CT, spine — sagittal view — image width 210 mm — bone-window reconstruction
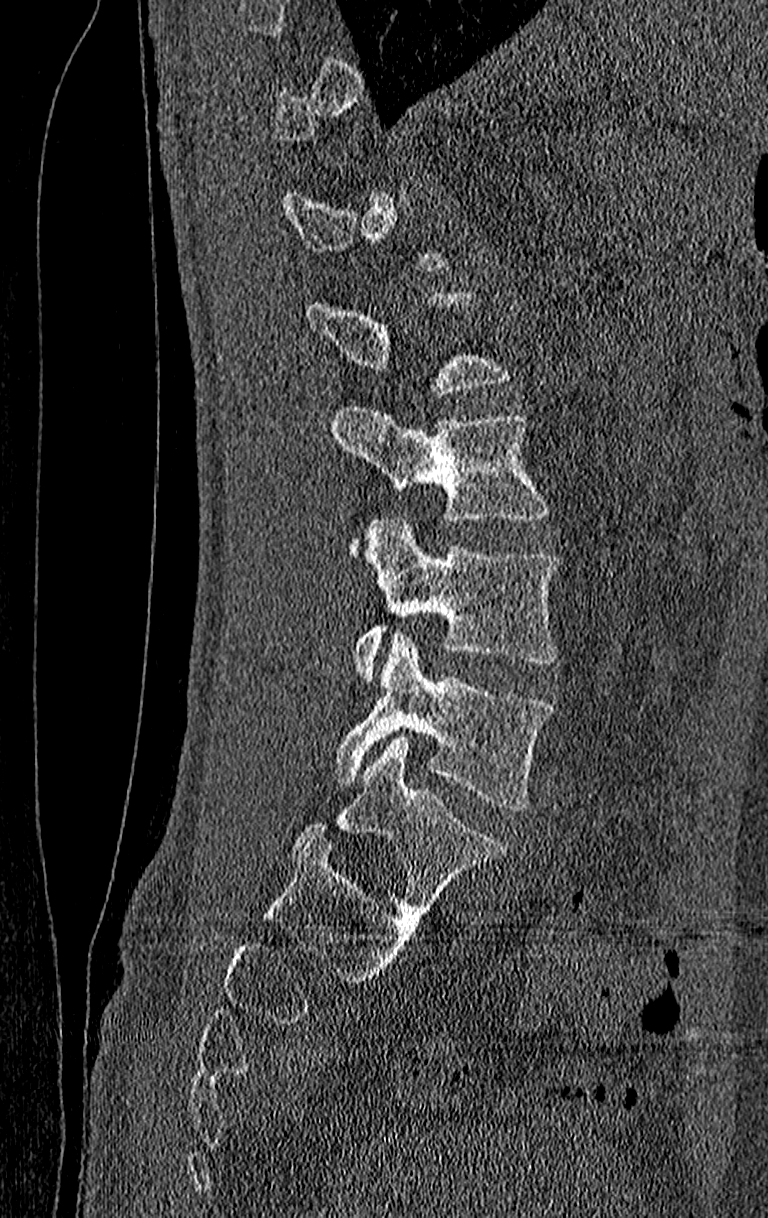

Box edges are left/top/right/bottom in pixels. Each vertebra is boxed only on the slices from the first to the last where its cross-section reaches a third of its largest, so a slice outside that range leaves it unboxed. Labels in this scan begin with T11 at the top and end with L4 at the bottom. Vertebrae labeled: L2 at left=331, top=406, right=550, bottom=522, L3 at left=353, top=517, right=557, bottom=680, L4 at left=335, top=634, right=554, bottom=809.